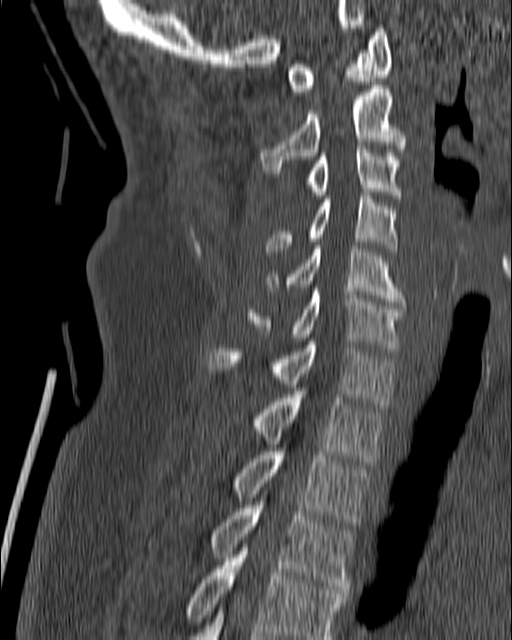
CT; sagittal reformat; 512x640 px; the image spans 180 mm across

<vertebrae><v name="T4" x1="185" y1="544" x2="345" y2="639"/><v name="T3" x1="209" y1="501" x2="353" y2="596"/><v name="T2" x1="231" y1="448" x2="370" y2="529"/><v name="T1" x1="251" y1="395" x2="384" y2="461"/><v name="C7" x1="209" y1="341" x2="395" y2="408"/><v name="C6" x1="246" y1="288" x2="404" y2="351"/><v name="C5" x1="265" y1="245" x2="404" y2="305"/><v name="C4" x1="265" y1="192" x2="398" y2="251"/><v name="C3" x1="305" y1="146" x2="401" y2="198"/><v name="C2" x1="260" y1="85" x2="406" y2="177"/><v name="C1" x1="286" y1="25" x2="392" y2="91"/></vertebrae>